CT. sagittal plane, index 223
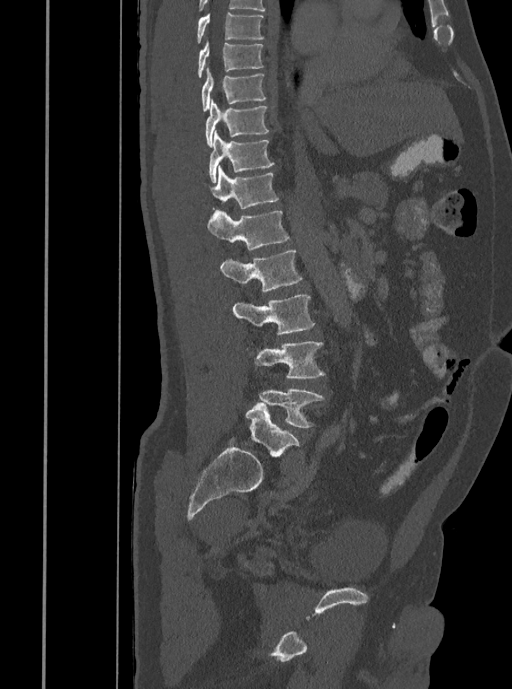

Each vertebra maps to its box as [x1, y1, x2, y2], the pixel coordinates of its top-left and bottom-right corners.
{"vertebrae":{"L5":[260,390,323,427],"L4":[254,341,324,378],"L3":[232,295,314,334],"L2":[219,250,301,292],"L1":[207,210,289,250],"T12":[203,166,279,209],"T11":[209,131,274,182],"T10":[206,99,269,147],"T9":[202,67,265,111],"T8":[197,38,262,77],"T7":[196,11,264,43]}}